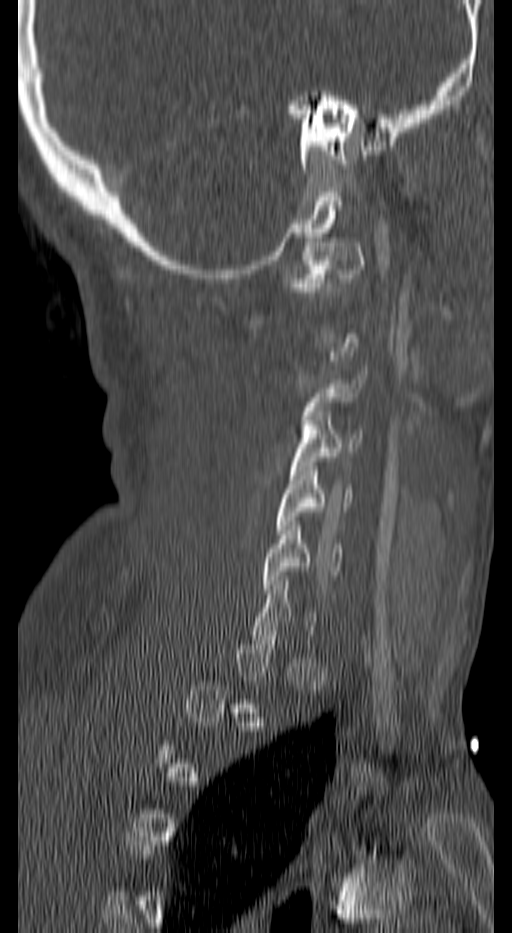

Spine computed tomography — sagittal view — bone window — 140 mm image width — 512x933 px
Boxes: x1 y1 x2 y2 (pixel coords, space-separated).
A vertebra is boxed only from the first to the last slice where its cross-section is at least a third of its largest; slices outside that range leave it without a box.
C1: 287 242 366 292
C3: 301 370 366 438
C4: 290 411 362 479
C5: 276 466 351 534
C6: 261 521 341 593